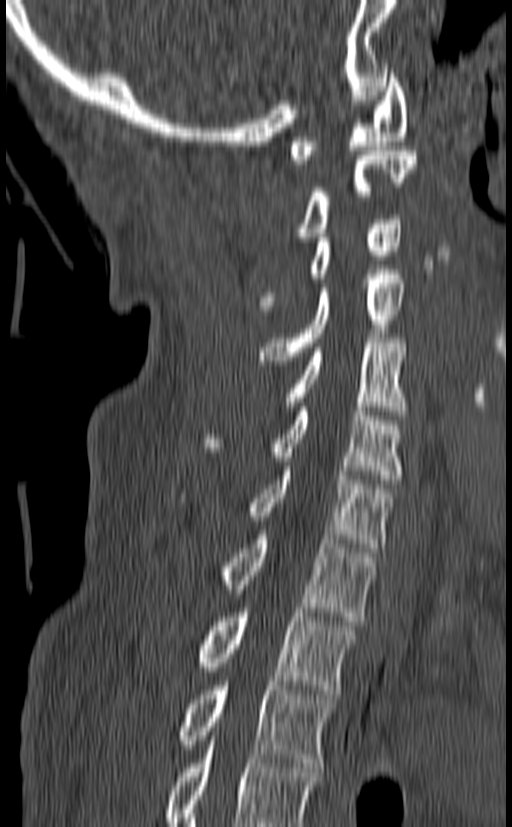

CT spine; sagittal view
Bounding boxes as [x1, y1, x2, y2] in pixel coordinates. The highest labeled vertebra in this scan is C1; the lowest is T3. Vertebrae labeled: T3 at [181, 681, 334, 767], T2 at [199, 608, 356, 694], T1 at [220, 530, 373, 621], C7 at [249, 466, 392, 552], C6 at [202, 407, 403, 484], C5 at [285, 338, 406, 415], C4 at [259, 270, 403, 365], C3 at [259, 215, 402, 314], C2 at [297, 151, 417, 241], C1 at [290, 69, 407, 164].